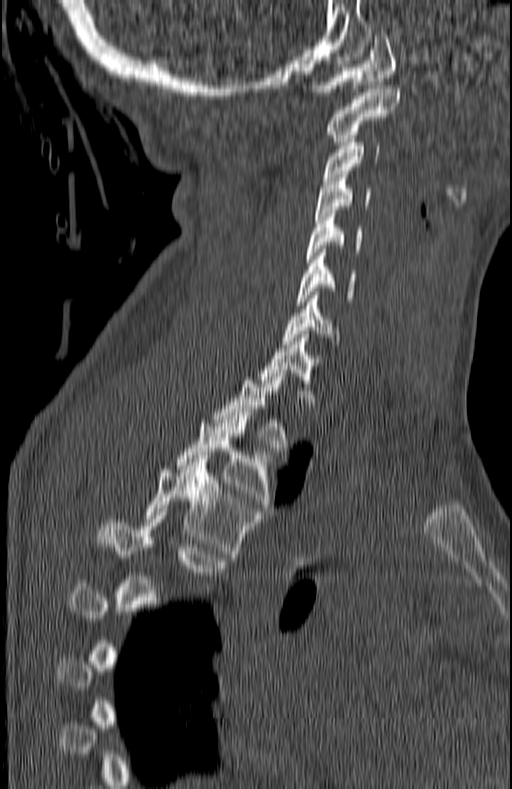

Spine CT · sagittal view · 180 mm wide · Bone window (WL 400, WW 1800)

Each box given as x1,y1,x2,y2.
A vertebra gets a box only on the slices from the first to the last where its cross-section is at least a third of its largest; on a slice outside that range it gets none.
| vertebra | x1 | y1 | x2 | y2 |
|---|---|---|---|---|
| C1 | 310 | 32 | 395 | 95 |
| C2 | 325 | 85 | 398 | 141 |
| C3 | 323 | 139 | 380 | 180 |
| C4 | 314 | 174 | 370 | 219 |
| C5 | 306 | 210 | 361 | 262 |
| C6 | 297 | 249 | 355 | 305 |
| C7 | 283 | 295 | 338 | 344 |
| T1 | 257 | 334 | 321 | 408 |
| T2 | 211 | 373 | 290 | 454 |
| T3 | 177 | 412 | 279 | 511 |
| T4 | 143 | 462 | 259 | 557 |
| T5 | 100 | 516 | 227 | 600 |